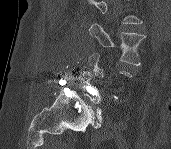

Spine CT; sagittal view

Not every vertebra on this slice has a box: a vertebra is boxed only from the first to the last slice where its cross-section is at least a third of its largest, and this slice is outside that range for at least one of them.
Vertebrae that run past the top of the scan are left unlabeled.
<vertebrae><v name="L3" x1="89" y1="23" x2="144" y2="65"/><v name="L5" x1="79" y1="71" x2="102" y2="128"/></vertebrae>